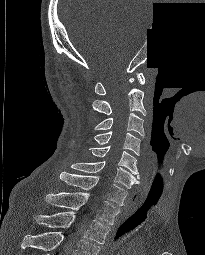
CT · image width 205 mm · sagittal reformat · 205x255 px · a portion of the image is blanked out (constant pixel value)
Each box is [x1, y1, x2, y2] in pixels: top-left corner, then bottom-right corner.
In this scan, the topmost labeled vertebra is C1 and the lowest is T2.
{"vertebrae":{"C1":[95,73,145,94],"C2":[92,78,146,116],"C3":[94,113,144,136],"C4":[93,131,140,155],"C5":[89,145,139,178],"C6":[71,161,139,188],"C7":[59,171,127,206],"T1":[45,192,119,224],"T2":[33,211,110,243]}}